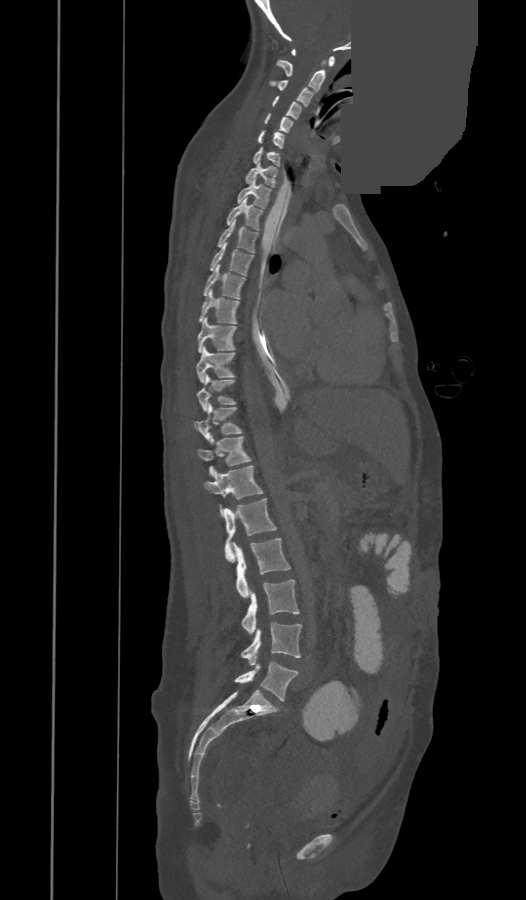
CT, spine. sagittal reformat. some of the image was removed or blocked out with constant pixels
The labels name an extra thoracic vertebra here, T13, which comes after T12 and before L1.
<vertebrae><v name="C1" x1="292" y1="49" x2="334" y2="66"/><v name="C2" x1="276" y1="60" x2="325" y2="91"/><v name="C3" x1="270" y1="80" x2="313" y2="106"/><v name="C4" x1="272" y1="96" x2="301" y2="118"/><v name="C5" x1="265" y1="113" x2="293" y2="131"/><v name="C6" x1="258" y1="130" x2="283" y2="148"/><v name="C7" x1="254" y1="147" x2="279" y2="166"/><v name="T1" x1="245" y1="162" x2="277" y2="187"/><v name="T2" x1="238" y1="178" x2="270" y2="208"/><v name="T3" x1="227" y1="198" x2="261" y2="229"/><v name="T4" x1="218" y1="220" x2="258" y2="252"/><v name="T5" x1="210" y1="242" x2="254" y2="275"/><v name="T6" x1="203" y1="265" x2="244" y2="298"/><v name="T7" x1="199" y1="289" x2="239" y2="324"/><v name="T8" x1="197" y1="318" x2="236" y2="352"/><v name="T9" x1="195" y1="347" x2="234" y2="381"/><v name="T10" x1="197" y1="376" x2="234" y2="410"/><v name="T11" x1="194" y1="403" x2="241" y2="439"/><v name="T12" x1="198" y1="437" x2="250" y2="475"/><v name="T13" x1="204" y1="466" x2="262" y2="511"/><v name="L1" x1="224" y1="498" x2="275" y2="561"/><v name="L2" x1="232" y1="538" x2="291" y2="598"/><v name="L3" x1="242" y1="579" x2="299" y2="634"/><v name="L4" x1="241" y1="622" x2="301" y2="665"/><v name="L5" x1="234" y1="662" x2="298" y2="700"/></vertebrae>